Spine computed tomography · sagittal plane, index 222 · bone-window reconstruction · 512x780 px
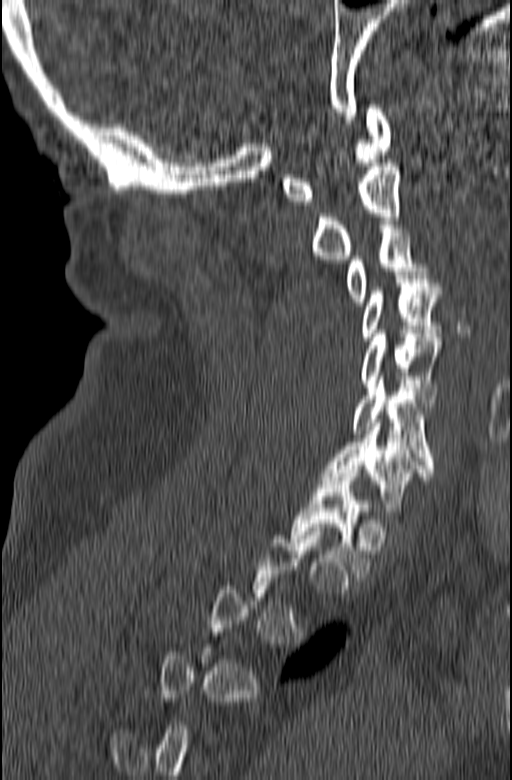

Each box is [x1, y1, x2, y2] in pixels: top-left corner, then bottom-right corner.
A vertebra gets a box only on the slices from the first to the last where its cross-section is at least a third of its largest; on a slice outside that range it gets none.
{"vertebrae":{"C1":[282,105,391,205],"C2":[311,159,400,259],"C3":[345,225,428,305],"C4":[361,275,441,340],"C5":[361,330,441,402],"C6":[352,376,434,468],"C7":[320,419,434,515],"T1":[290,469,371,577]}}